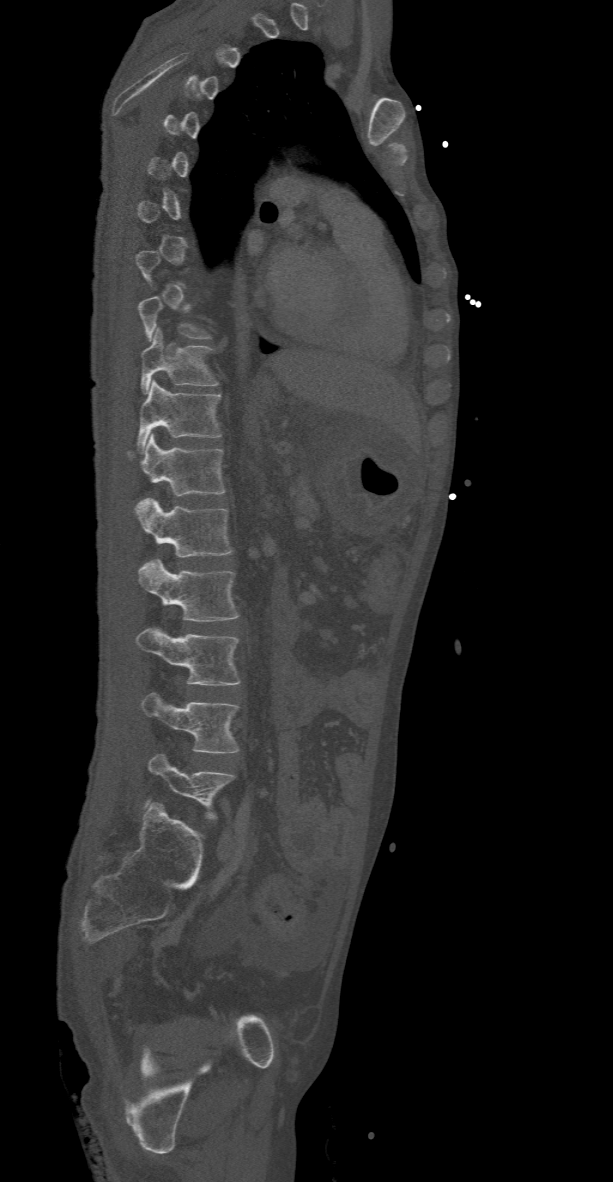

CT, spine · sagittal view · 613x1182 px · 368 mm across the image
A vertebra gets a box only on the slices from the first to the last where its cross-section is at least a third of its largest; on a slice outside that range it gets none.
<vertebrae><v name="T10" x1="140" y1="328" x2="217" y2="393"/><v name="T11" x1="137" y1="381" x2="221" y2="454"/><v name="T12" x1="127" y1="434" x2="224" y2="496"/><v name="L1" x1="134" y1="499" x2="230" y2="556"/><v name="L2" x1="137" y1="559" x2="239" y2="621"/><v name="L3" x1="134" y1="629" x2="239" y2="685"/><v name="L4" x1="141" y1="692" x2="239" y2="753"/><v name="L5" x1="144" y1="754" x2="234" y2="818"/></vertebrae>